CT — sagittal view — 512x793 px
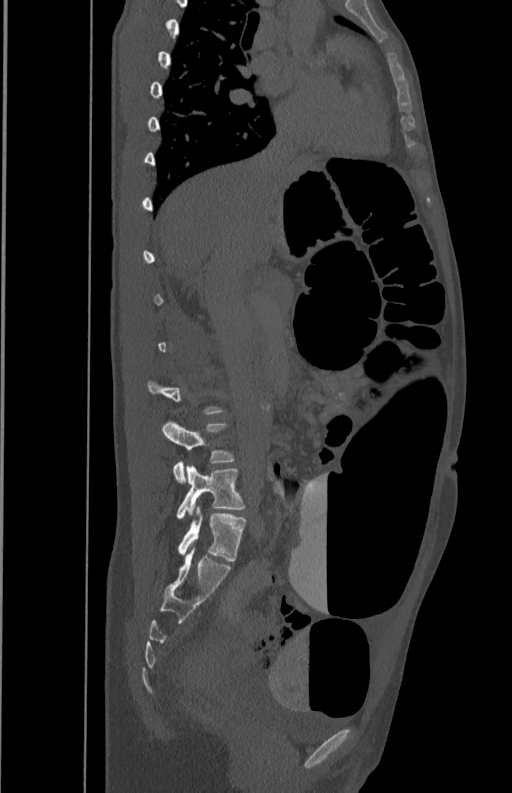 Boxes: x1:y1:x2:y2 in pixels.
A vertebra is boxed only from the first to the last slice where its cross-section is at least a third of its largest; slices outside that range leave it without a box.
L4: 162:420:234:483
L5: 177:465:246:518